Spine CT — sagittal view — bone-window reconstruction — 512x1029 px — image 342 mm wide
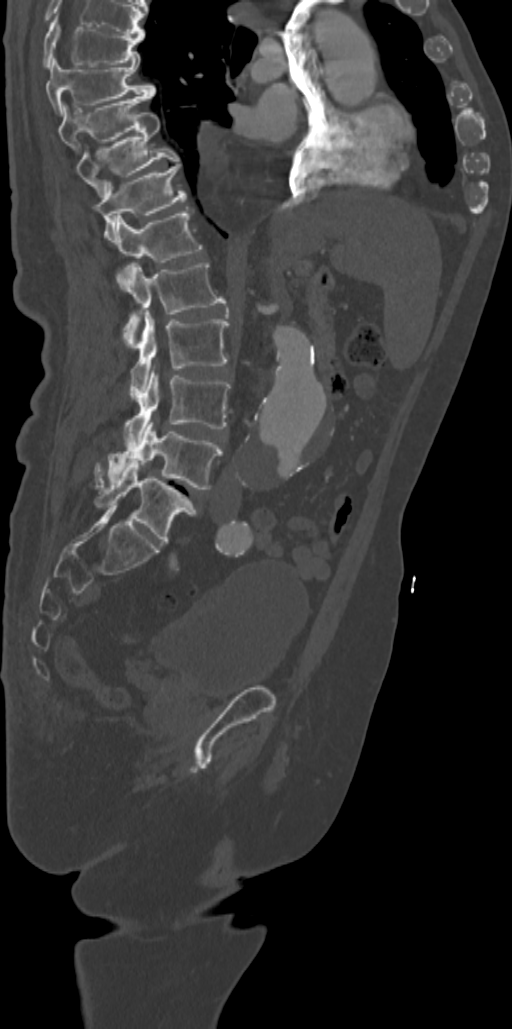
Bounding boxes as [x1, y1, x2, y2] in pixel coordinates.
The highest labeled vertebra in this scan is T7; the lowest is L5.
T7: [43, 16, 144, 66]
T8: [46, 56, 154, 114]
T9: [58, 94, 150, 152]
T10: [75, 112, 180, 197]
T11: [93, 164, 186, 242]
T12: [115, 207, 202, 262]
L1: [117, 263, 225, 345]
L2: [129, 312, 228, 399]
L3: [123, 368, 229, 448]
L4: [94, 422, 222, 489]
L5: [94, 463, 196, 543]